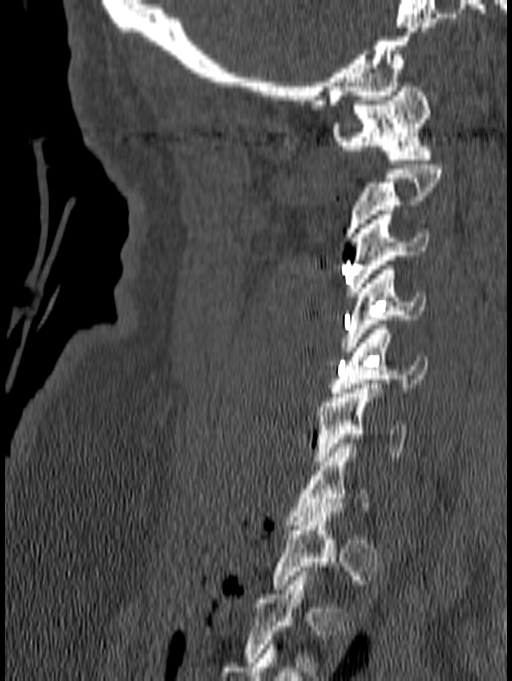
CT. sagittal reformat. the image is 140 mm wide. 512x681 px
Each box given as x1,y1,x2,y2.
Each vertebra is boxed only on the slices from the first to the last where its cross-section reaches a third of its largest, so a slice outside that range leaves it unboxed.
C7: x1=287, y1=443, x2=371, y2=525
C6: x1=315, y1=384, x2=406, y2=465
C5: x1=330, y1=325, x2=428, y2=397
C4: x1=341, y1=265, x2=425, y2=351
C3: x1=346, y1=210, x2=428, y2=296
C1: x1=332, y1=82, x2=433, y2=164